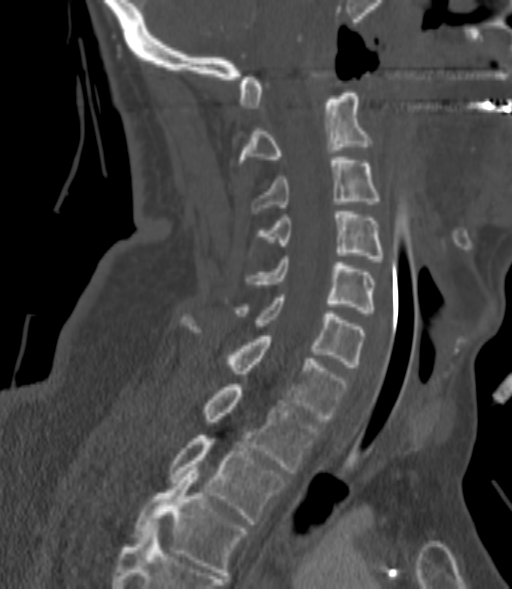
Computed tomography of the spine; sagittal view; W/L 1800/400 HU

Each vertebra maps to its box as [x1, y1, x2, y2], the pixel coordinates of its top-left and bottom-right corners.
A vertebra gets a box only on the slices from the first to the last where its cross-section is at least a third of its largest; on a slice outside that range it gets none.
{"vertebrae":{"C2":[239,93,371,165],"C3":[251,157,379,213],"C4":[259,211,384,261],"C5":[247,256,374,313],"C6":[236,294,363,367],"C7":[183,317,348,421],"T1":[203,384,320,473],"T2":[170,435,287,524],"T3":[134,467,246,575]}}